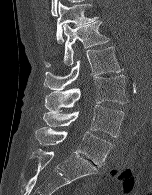

Spine CT. sagittal view

Each vertebra maps to its box as [x1, y1, x2, y2], the pixel coordinates of its top-left and bottom-right corners.
{"vertebrae":{"T12":[56,1,98,43],"L1":[43,21,110,67],"L2":[44,47,123,90],"L3":[45,75,127,111],"L4":[43,105,124,137],"L5":[35,127,112,166]}}